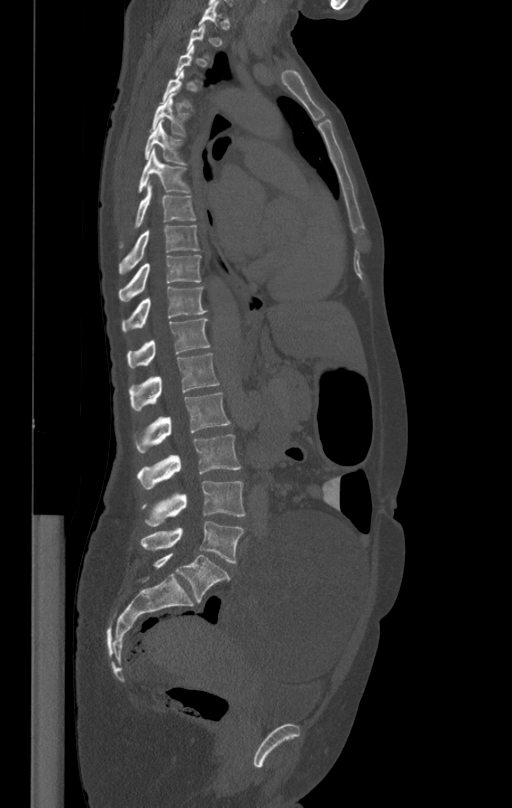

Spine computed tomography — sagittal reformat. Boxes are (x1, y1, x2, y2) in pixels. Each vertebra is boxed only on the slices from the first to the last where its cross-section reaches a third of its largest, so a slice outside that range leaves it unboxed. The labeled vertebrae in this slice are: L5 at (140, 520, 244, 563), L4 at (143, 481, 245, 526), L3 at (137, 435, 240, 489), L2 at (134, 393, 230, 452), L1 at (129, 352, 219, 411), T12 at (127, 318, 210, 368), T11 at (122, 286, 206, 332), T10 at (118, 255, 200, 301), T9 at (119, 225, 199, 274), T8 at (134, 183, 195, 227), T7 at (138, 149, 189, 191), T6 at (145, 121, 184, 165), T5 at (152, 94, 187, 135).